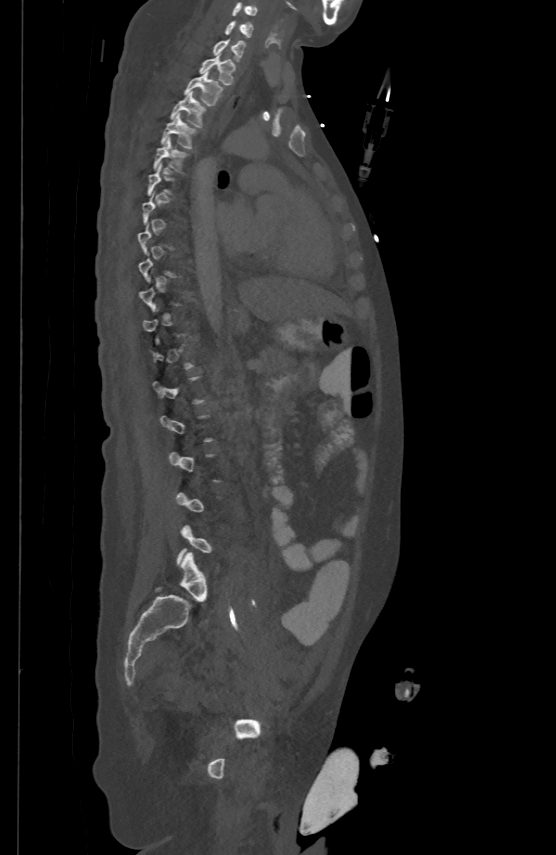
CT spine — sagittal view — 556x855 px
Each vertebra is boxed only on the slices from the first to the last where its cross-section reaches a third of its largest, so a slice outside that range leaves it unboxed.
<vertebrae><v name="C5" x1="232" y1="1" x2="257" y2="15"/><v name="C6" x1="225" y1="20" x2="252" y2="36"/><v name="C7" x1="214" y1="39" x2="244" y2="61"/><v name="T1" x1="199" y1="53" x2="234" y2="84"/><v name="T2" x1="184" y1="71" x2="223" y2="104"/><v name="T3" x1="170" y1="91" x2="205" y2="126"/><v name="T4" x1="161" y1="112" x2="195" y2="148"/><v name="T5" x1="153" y1="136" x2="187" y2="171"/></vertebrae>